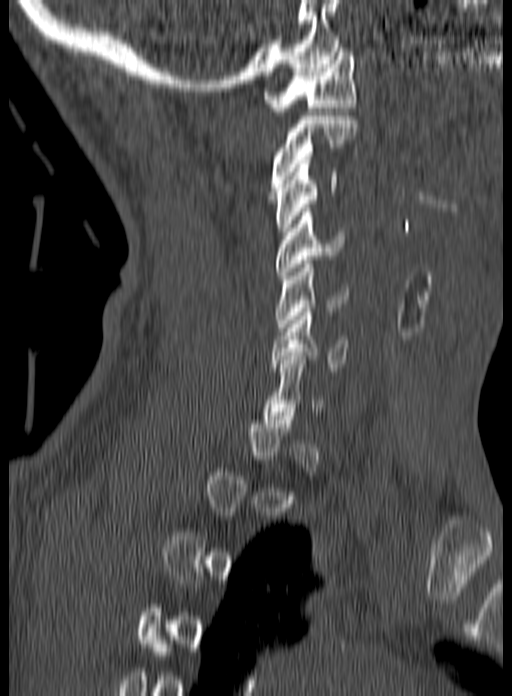 CT spine — sagittal view — W/L 1800/400 HU — 512x696 px. Each row gives a vertebra's box as x1, y1, x2, y2 in pixels: top-left corner, then bottom-right corner.
Each vertebra is boxed only on the slices from the first to the last where its cross-section reaches a third of its largest, so a slice outside that range leaves it unboxed.
| vertebra | x1 | y1 | x2 | y2 |
|---|---|---|---|---|
| C1 | 263 | 48 | 356 | 111 |
| C2 | 270 | 112 | 357 | 195 |
| C3 | 275 | 160 | 337 | 231 |
| C4 | 276 | 208 | 345 | 279 |
| C5 | 275 | 260 | 347 | 331 |
| C6 | 270 | 308 | 349 | 375 |